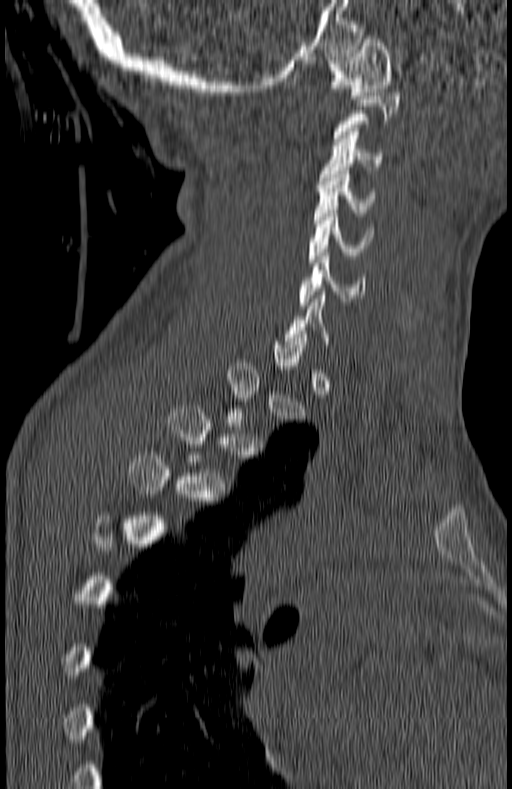
CT. sagittal view. W/L 1800/400 HU. image 180 mm wide

Boxes: x1 y1 x2 y2 (pixel coords, space-separated).
A vertebra is boxed only from the first to the last slice where its cross-section is at least a third of its largest; slices outside that range leave it without a box.
C1: 328 36 392 99
C3: 319 128 383 184
C4: 314 171 373 223
C5: 308 210 373 262
C6: 300 256 364 308